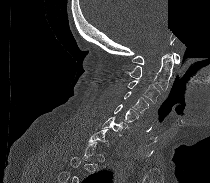
CT, spine; sagittal reformat; bone-window reconstruction; image width 210 mm; a region of this slice is masked with a uniform fill

Boxes: x1:y1:x2:y2 in pixels.
A vertebra is boxed only from the first to the last slice where its cross-section is at least a third of its largest; slices outside that range leave it without a box.
C6: 102:116:128:136
C5: 114:104:138:122
C4: 124:91:148:113
C3: 127:80:160:103
C2: 125:53:173:90
C1: 132:52:179:64